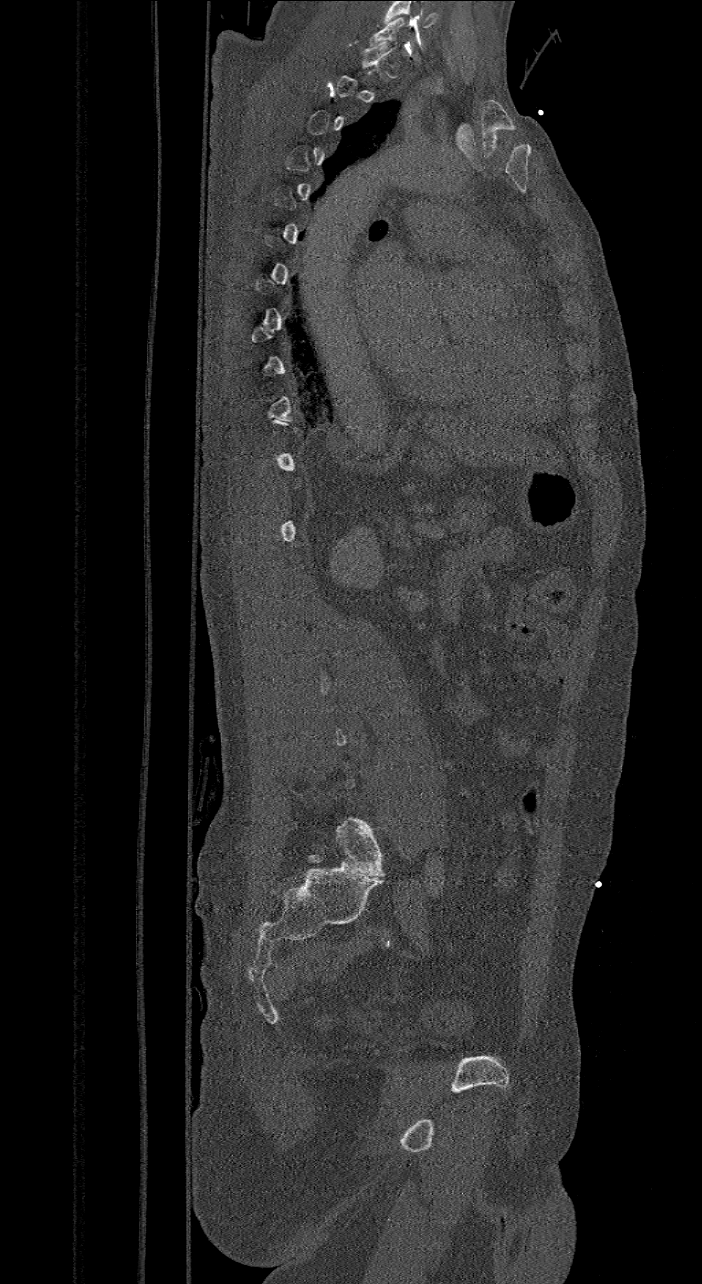 Spine CT · sagittal view · the image spans 421 mm across

A vertebra is boxed only from the first to the last slice where its cross-section is at least a third of its largest; slices outside that range leave it without a box.
In this scan, the topmost labeled vertebra is C7 and the lowest is L6.
These labels give the spine a sixth lumbar vertebra, L6, below L5.
<vertebrae><v name="L6" x1="337" y1="816" x2="385" y2="876"/><v name="C7" x1="369" y1="18" x2="407" y2="53"/></vertebrae>